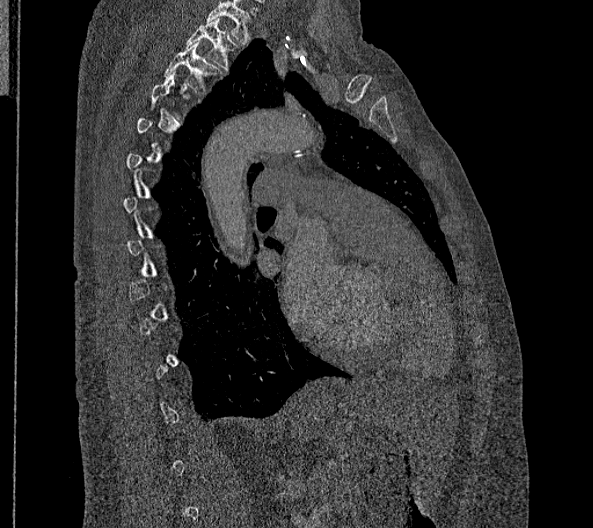 CT spine. sagittal view

In the table, x1 and y1 are a box's top-left corner and x2 and y2 its bottom-right corner, in pixels.
Each vertebra is boxed only on the slices from the first to the last where its cross-section reaches a third of its largest, so a slice outside that range leaves it unboxed.
In this scan, the topmost labeled vertebra is T2 and the lowest is L2.
| vertebra | x1 | y1 | x2 | y2 |
|---|---|---|---|---|
| T2 | 185 | 18 | 238 | 72 |
| T3 | 163 | 41 | 221 | 91 |